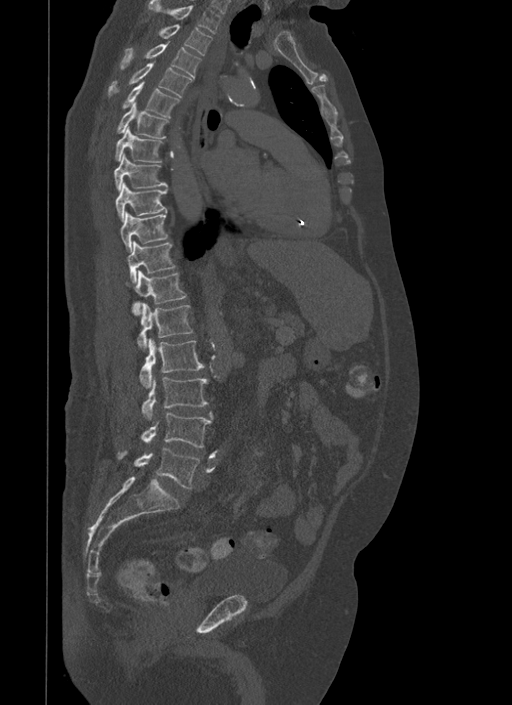
Spine CT. sagittal view. W/L 1800/400 HU. 512x705 px. Each box given as x1,y1,x2,y2. 17 vertebrae labeled — T1 at x1=147, y1=0, x2=220, y2=34; T2 at x1=160, y1=24, x2=212, y2=55; T3 at x1=120, y1=41, x2=201, y2=79; T4 at x1=108, y1=61, x2=192, y2=97; T5 at x1=121, y1=81, x2=178, y2=118; T6 at x1=116, y1=101, x2=168, y2=138; T7 at x1=114, y1=126, x2=162, y2=163; T8 at x1=113, y1=154, x2=167, y2=190; T9 at x1=115, y1=182, x2=167, y2=220; T10 at x1=120, y1=211, x2=167, y2=251; T11 at x1=126, y1=241, x2=175, y2=283; T12 at x1=125, y1=270, x2=187, y2=314; L1 at x1=138, y1=303, x2=193, y2=349; L2 at x1=140, y1=338, x2=204, y2=388; L3 at x1=142, y1=377, x2=208, y2=419; L4 at x1=142, y1=412, x2=212, y2=448; L5 at x1=117, y1=447, x2=199, y2=488.